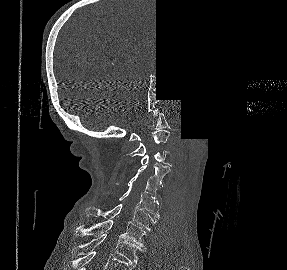
CT spine · sagittal view · bone window · a portion of the image is blanked out (constant pixel value). Each row gives a vertebra's box as x1, y1, x2, y2 in pixels: top-left corner, then bottom-right corner.
| vertebra | x1 | y1 | x2 | y2 |
|---|---|---|---|---|
| C1 | 129 | 112 | 170 | 140 |
| C2 | 126 | 130 | 169 | 156 |
| C3 | 141 | 150 | 171 | 166 |
| C4 | 136 | 163 | 170 | 187 |
| C5 | 115 | 175 | 161 | 204 |
| C6 | 119 | 187 | 159 | 218 |
| C7 | 85 | 204 | 157 | 230 |
| T1 | 75 | 220 | 146 | 249 |
| T2 | 76 | 234 | 145 | 263 |